Spine computed tomography; sagittal reformat; Bone window (WL 400, WW 1800); scan covers 12 annotated vertebrae
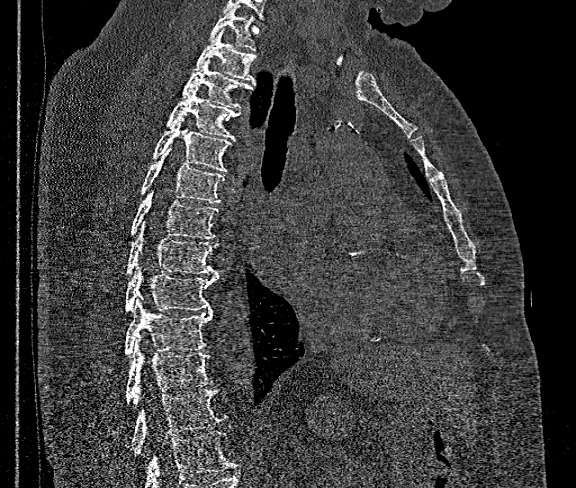
Each row gives a vertebra's box as x1, y1, x2, y2 in pixels: top-left corner, then bottom-right corner.
No box is given to a vertebra that the bottom edge of the scan cuts off.
| vertebra | x1 | y1 | x2 | y2 |
|---|---|---|---|---|
| T1 | 209 | 7 | 257 | 51 |
| T2 | 191 | 29 | 258 | 83 |
| T3 | 180 | 60 | 257 | 110 |
| T4 | 166 | 87 | 241 | 140 |
| T5 | 150 | 117 | 232 | 172 |
| T6 | 139 | 148 | 224 | 203 |
| T7 | 129 | 189 | 219 | 239 |
| T8 | 126 | 222 | 216 | 273 |
| T9 | 125 | 268 | 218 | 311 |
| T10 | 123 | 299 | 212 | 356 |
| T11 | 125 | 341 | 213 | 404 |
| T12 | 130 | 389 | 226 | 455 |